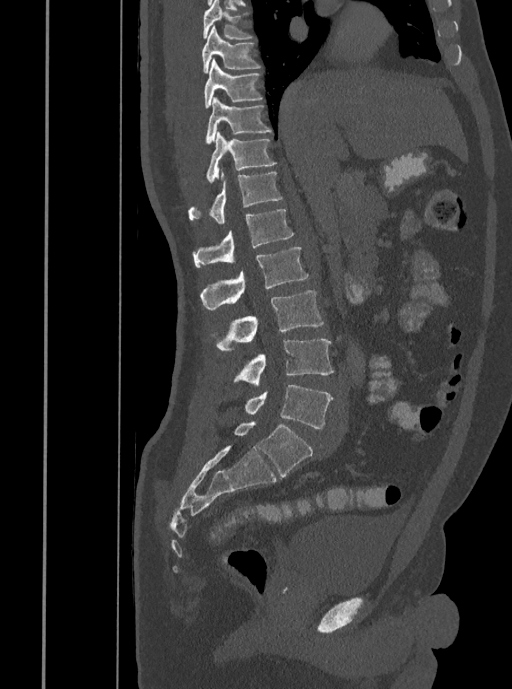
CT spine; 408 mm wide; sagittal view
Bounding boxes as [x1, y1, x2, y2] in pixel coordinates.
T7: [203, 0, 252, 40]
T8: [202, 25, 260, 74]
T9: [204, 59, 262, 107]
T10: [206, 97, 271, 144]
T11: [207, 131, 276, 183]
T12: [187, 171, 282, 224]
L1: [192, 209, 294, 267]
L2: [199, 247, 309, 310]
L3: [212, 290, 324, 350]
L4: [233, 339, 334, 385]
L5: [245, 385, 333, 428]